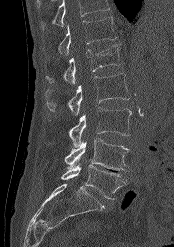

CT spine · sagittal reformat · bone-window reconstruction · image width 174 mm · 174x247 px
Boxes: x1:y1:x2:y2 in pixels.
No box is given to a vertebra that the top edge of the scan cuts off.
Vertebra bounding boxes:
- T12: 43:17:117:55
- L1: 46:44:121:84
- L2: 44:73:129:115
- L3: 49:107:131:146
- L4: 64:138:129:170
- L5: 61:165:126:199